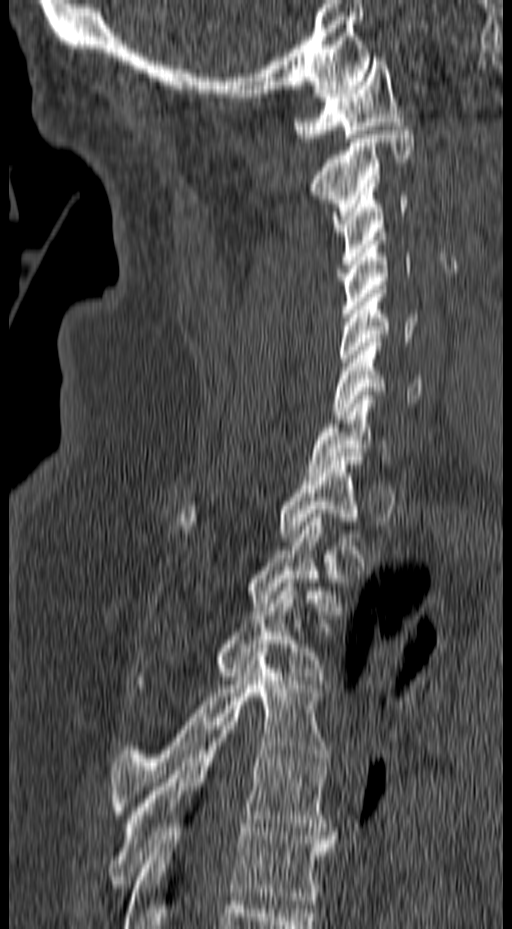 Spine computed tomography; sagittal view; 512x929 px

Box edges are left/top/right/bottom in pixels.
Vertebra bounding boxes:
- T6: left=123, top=828, right=333, bottom=928
- T5: left=105, top=726, right=338, bottom=888
- T4: left=110, top=648, right=330, bottom=818
- T3: left=135, top=579, right=326, bottom=684
- T2: left=249, top=514, right=339, bottom=610
- T1: left=177, top=457, right=362, bottom=541
- C7: left=307, top=391, right=393, bottom=476
- C6: left=331, top=338, right=421, bottom=419
- C5: left=338, top=285, right=418, bottom=370
- C4: left=341, top=232, right=411, bottom=317
- C3: left=332, top=183, right=409, bottom=268
- C2: left=311, top=126, right=414, bottom=231
- C1: left=294, top=57, right=405, bottom=142